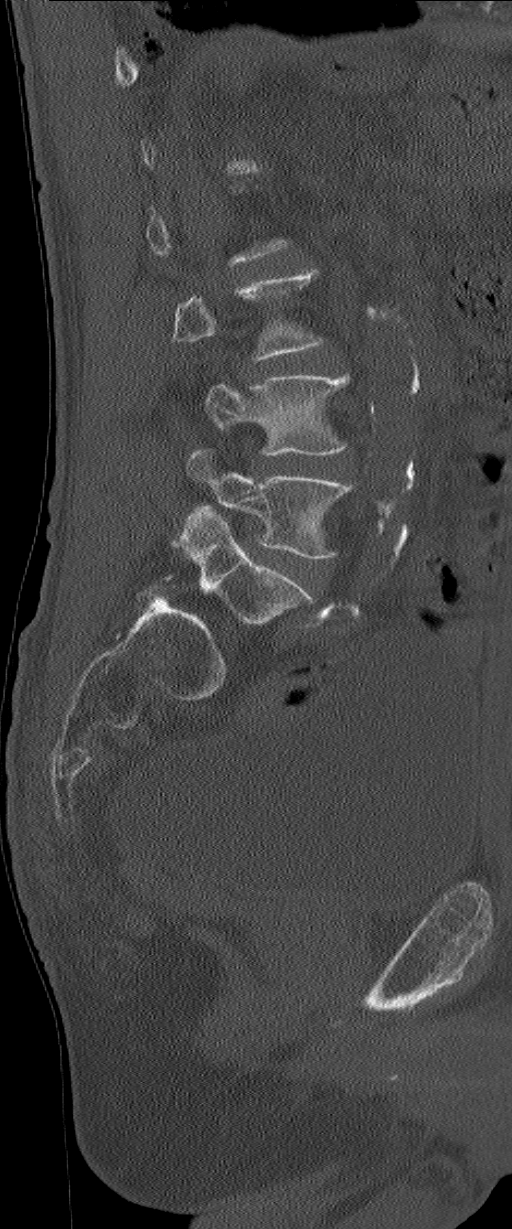
Spine computed tomography — sagittal view — 512x1229 px

Bounding boxes as [x1, y1, x2, y2] in pixel coordinates.
Each vertebra is boxed only on the slices from the first to the last where its cross-section reaches a third of its largest, so a slice outside that range leaves it unboxed.
The labels name a sixth lumbar vertebra for this spine: L6, after L5.
L6: [179, 505, 312, 625]
L5: [178, 450, 352, 559]
L4: [206, 374, 349, 454]